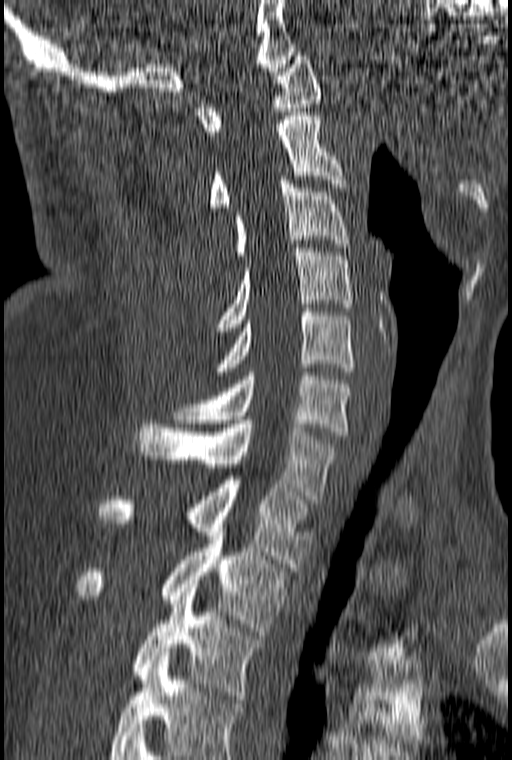

Spine computed tomography · sagittal view · 512x760 px. Each box given as x1,y1,x2,y2. Labels in this scan begin with C1 at the top and end with T3 at the bottom. 10 vertebrae labeled — C1 at x1=197, y1=56, x2=322, y2=135; C2 at x1=209, y1=112, x2=346, y2=211; C3 at x1=235, y1=176, x2=349, y2=255; C4 at x1=216, y1=248, x2=352, y2=331; C5 at x1=215, y1=308, x2=353, y2=371; C6 at x1=173, y1=372, x2=352, y2=435; C7 at x1=136, y1=420, x2=336, y2=503; T1 at x1=100, y1=480, x2=310, y2=571; T2 at x1=78, y1=524, x2=285, y2=635; T3 at x1=132, y1=584, x2=263, y2=699.